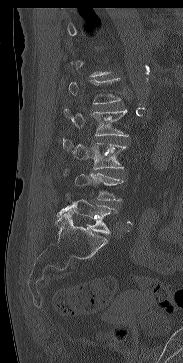 Spine CT · sagittal view · bone-window reconstruction · image width 183 mm
Each vertebra is boxed only on the slices from the first to the last where its cross-section reaches a third of its largest, so a slice outside that range leaves it unboxed.
<vertebrae><v name="L1" x1="69" y1="78" x2="120" y2="104"/><v name="L2" x1="64" y1="109" x2="128" y2="136"/><v name="L3" x1="63" y1="140" x2="126" y2="169"/><v name="L4" x1="64" y1="168" x2="123" y2="200"/><v name="L5" x1="56" y1="199" x2="116" y2="234"/></vertebrae>